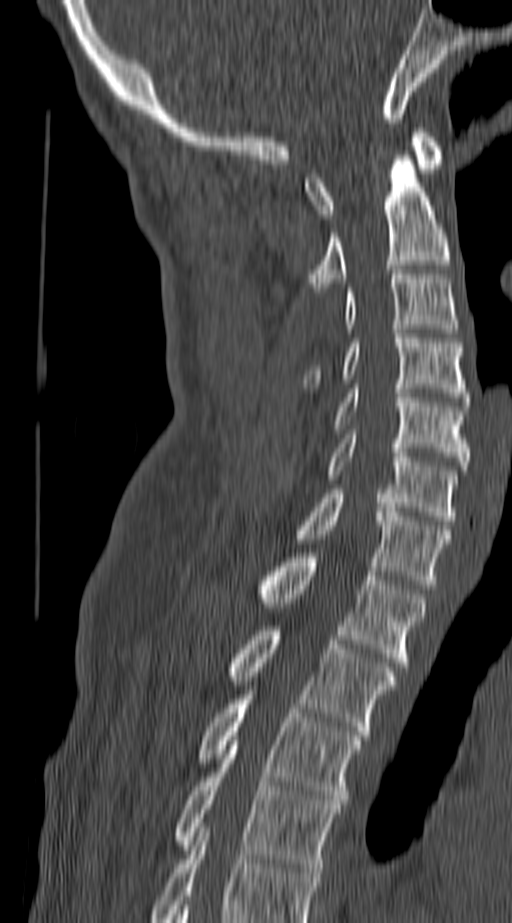

Computed tomography of the spine — sagittal reformat — the image is 140 mm wide — bone-window reconstruction — 512x923 px
Box values are [left, top, right, bottom] in pixels.
This scan's labels start at C1 at the top and end at T4 at the bottom.
{"vertebrae":{"T4":[177,741,340,872],"T3":[199,695,359,804],"T2":[228,626,395,735],"T1":[261,553,425,666],"C7":[298,489,450,589],"C6":[327,434,457,525],"C5":[334,384,468,470],"C4":[305,334,468,401],"C3":[345,274,457,333],"C2":[308,155,450,292],"C1":[305,128,439,218]}}